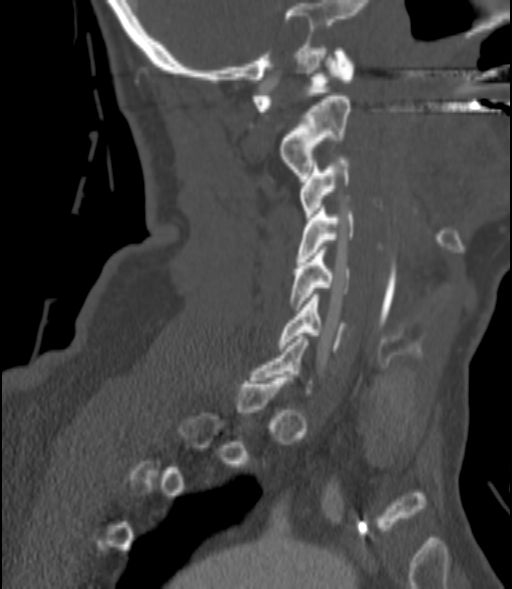
CT · sagittal reformat
A vertebra gets a box only on the slices from the first to the last where its cross-section is at least a third of its largest; on a slice outside that range it gets none.
<vertebrae><v name="C6" x1="278" y1="294" x2="344" y2="351"/><v name="C5" x1="290" y1="246" x2="351" y2="309"/><v name="C4" x1="297" y1="208" x2="356" y2="261"/><v name="C3" x1="300" y1="157" x2="351" y2="220"/><v name="C2" x1="280" y1="96" x2="351" y2="178"/><v name="C1" x1="252" y1="48" x2="354" y2="111"/></vertebrae>